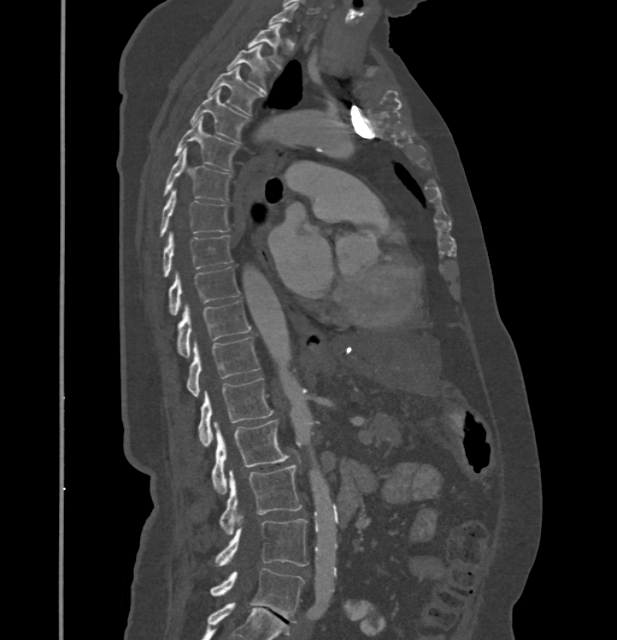
Computed tomography of the spine; sagittal view; 432 mm wide
Bounding boxes as [x1, y1, x2, y2] in pixel coordinates.
A vertebra is boxed only from the first to the last slice where its cross-section is at least a third of its largest; slices outside that range leave it without a box.
These labels give this spine no T12: after T11 the next vertebra is L1.
T1: [248, 23, 282, 68]
T2: [227, 45, 268, 89]
T3: [207, 66, 263, 115]
T4: [190, 90, 247, 142]
T5: [174, 119, 238, 171]
T6: [163, 149, 230, 201]
T7: [160, 190, 229, 236]
T8: [163, 232, 232, 276]
T9: [169, 267, 239, 315]
T10: [177, 300, 250, 356]
T11: [187, 337, 261, 396]
L1: [199, 377, 273, 446]
L2: [211, 420, 287, 494]
L3: [219, 465, 302, 535]
L4: [216, 516, 308, 565]
L5: [210, 569, 305, 622]